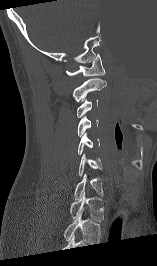
CT spine · sagittal reformat · a region of this slice is masked with a uniform fill. In the table, x1 and y1 are a box's top-left corner and x2 and y2 its bottom-right corner, in pixels.
In this scan, the topmost labeled vertebra is C1 and the lowest is T1.
| vertebra | x1 | y1 | x2 | y2 |
|---|---|---|---|---|
| T1 | 69 | 192 | 103 | 221 |
| C7 | 74 | 173 | 103 | 199 |
| C6 | 78 | 153 | 102 | 176 |
| C5 | 78 | 133 | 99 | 154 |
| C4 | 78 | 116 | 98 | 136 |
| C3 | 76 | 99 | 98 | 118 |
| C2 | 72 | 78 | 106 | 102 |
| C1 | 66 | 54 | 105 | 76 |